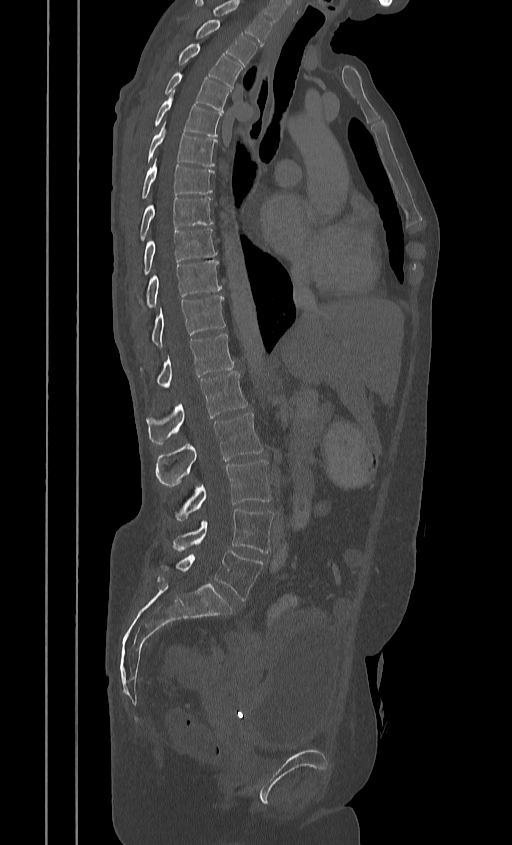
CT; sagittal view; 512x845 px
Each vertebra maps to its box as [x1, y1, x2, y2], the pixel coordinates of its top-left and bottom-right corners.
In this scan, the topmost labeled vertebra is T2 and the lowest is L5.
{"vertebrae":{"T2":[196,20,256,66],"T3":[177,44,241,88],"T4":[164,72,231,112],"T5":[153,93,221,136],"T6":[146,125,216,166],"T7":[141,159,213,199],"T8":[138,197,213,240],"T9":[142,228,216,274],"T10":[140,260,221,310],"T11":[152,296,224,347],"T12":[157,333,233,388],"L1":[146,372,247,444],"L2":[156,412,263,486],"L3":[174,460,271,519],"L4":[172,509,273,552],"L5":[160,551,263,600]}}